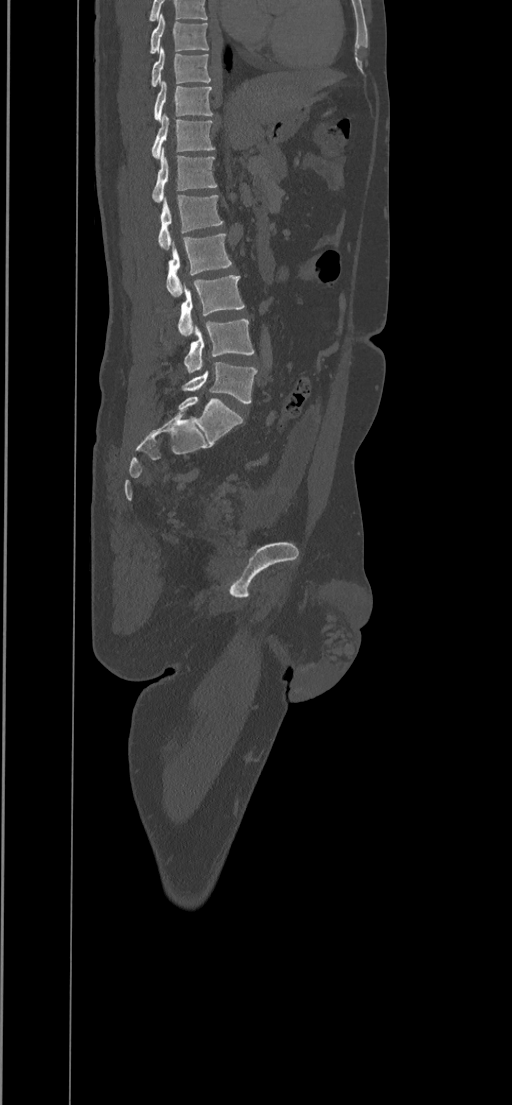

Spine computed tomography; image width 434 mm; sagittal view; 512x1105 px. Bounding boxes as [x1, y1, x2, y2] in pixel coordinates.
The highest labeled vertebra in this scan is T8; the lowest is L5.
T8: [151, 13, 208, 53]
T9: [151, 46, 210, 86]
T10: [154, 81, 212, 122]
T11: [152, 114, 215, 158]
T12: [152, 148, 217, 202]
L1: [158, 194, 223, 250]
L2: [166, 234, 231, 296]
L3: [178, 275, 244, 337]
L4: [184, 319, 254, 373]
L5: [182, 362, 256, 402]